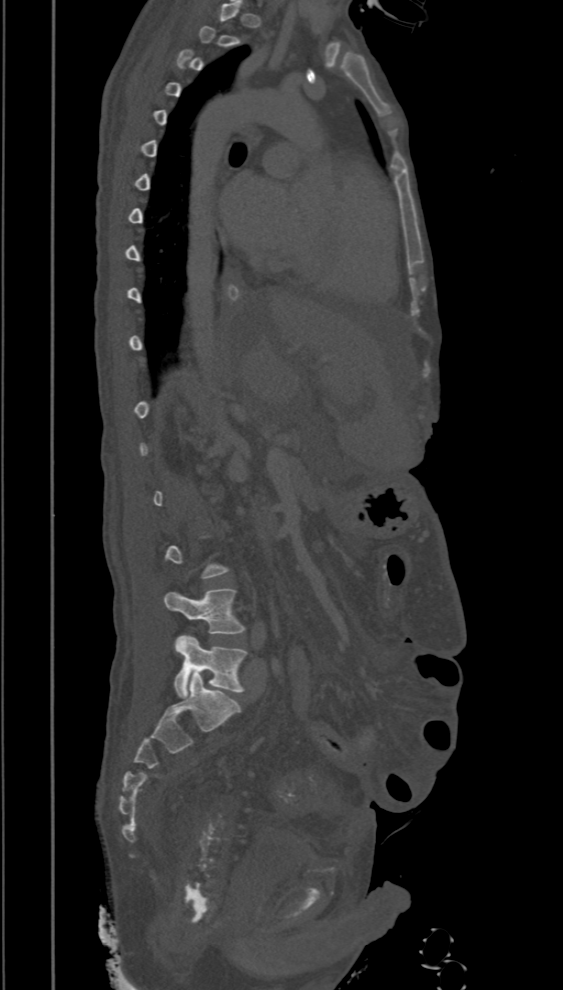

Spine CT — sagittal view — W/L 1800/400 HU
Each row gives a vertebra's box as x1, y1, x2, y2 in pixels: top-left corner, then bottom-right corner.
Not every vertebra on this slice has a box: a vertebra is boxed only from the first to the last slice where its cross-section is at least a third of its largest, and this slice is outside that range for at least one of them.
| vertebra | x1 | y1 | x2 | y2 |
|---|---|---|---|---|
| L5 | 174 | 635 | 249 | 698 |
| L4 | 164 | 589 | 244 | 634 |